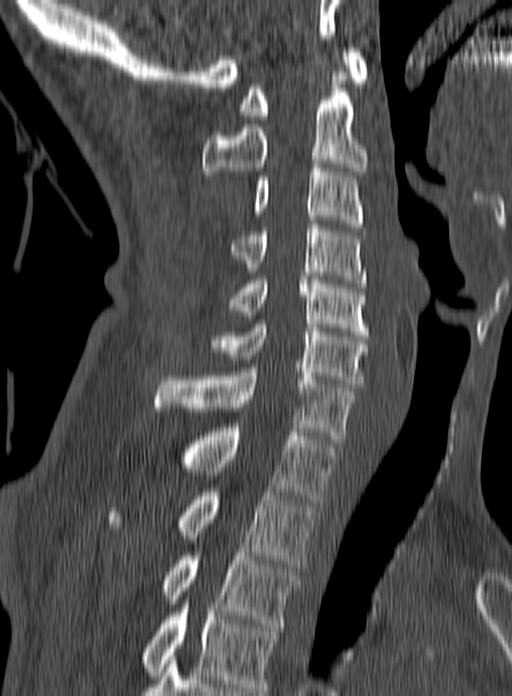 Spine CT; sagittal view; bone-window reconstruction

Each row gives a vertebra's box as x1, y1, x2, y2 in pixels: top-left corner, then bottom-right corner.
Labels in this scan begin with C1 at the top and end with T3 at the bottom.
| vertebra | x1 | y1 | x2 | y2 |
|---|---|---|---|---|
| T3 | 161 | 552 | 300 | 627 |
| T2 | 106 | 492 | 317 | 567 |
| T1 | 180 | 428 | 337 | 503 |
| C7 | 155 | 368 | 355 | 443 |
| C6 | 209 | 320 | 368 | 387 |
| C5 | 228 | 280 | 368 | 335 |
| C4 | 230 | 224 | 367 | 287 |
| C3 | 254 | 164 | 363 | 227 |
| C2 | 203 | 72 | 368 | 179 |
| C1 | 239 | 48 | 369 | 119 |